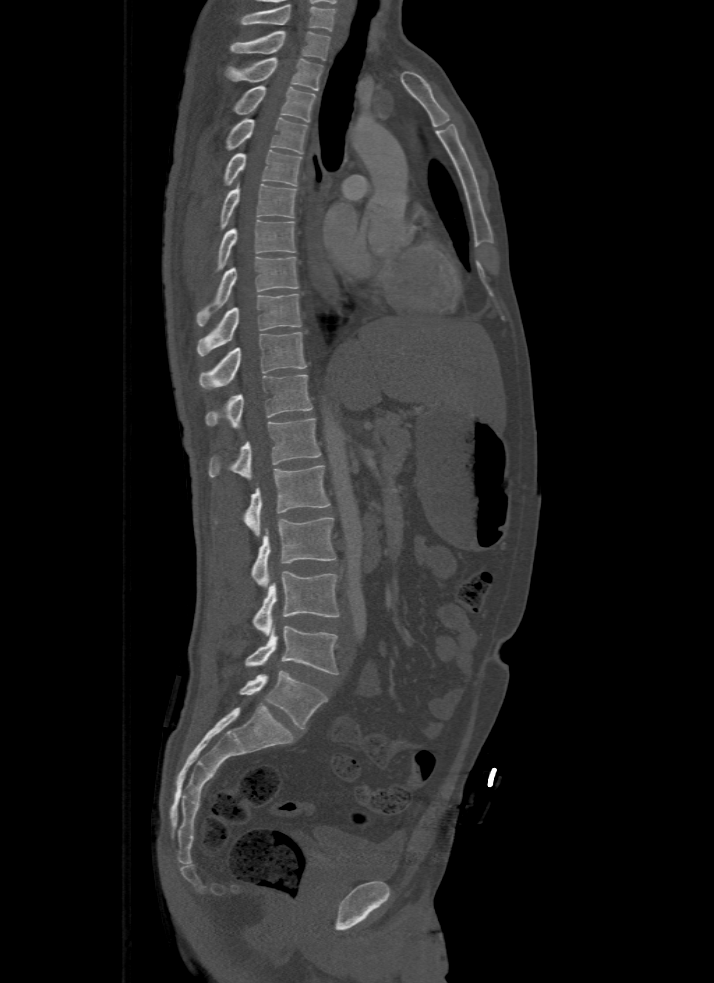

Spine CT; sagittal view
Boxes below are [x1, y1, x2, y2] in pixels.
In this scan, the topmost labeled vertebra is T1 and the lowest is L5.
{"vertebrae":{"T1":[230,30,331,59],"T2":[226,58,323,91],"T3":[233,86,314,121],"T4":[226,118,307,154],"T5":[225,150,302,185],"T6":[220,183,296,228],"T7":[218,220,295,269],"T8":[195,256,298,325],"T9":[197,293,300,355],"T10":[198,332,306,388],"T11":[205,375,311,428],"T12":[208,418,320,478],"L1":[215,465,330,536],"L2":[251,518,337,588],"L3":[253,570,339,635],"L4":[244,626,339,674],"L5":[239,670,328,729]}}